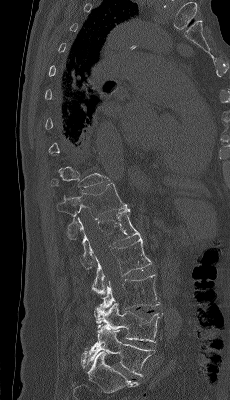
CT spine; sagittal view; 230x400 px. Boxes: x1:y1:x2:y2 in pixels.
A vertebra gets a box only on the slices from the first to the last where its cross-section is at least a third of its largest; on a slice outside that range it gets none.
Vertebra bounding boxes:
- L5: 83:325:155:376
- L4: 93:301:162:342
- L3: 99:274:160:309
- L2: 92:237:152:294
- L1: 78:208:140:270
- T12: 56:183:128:239